CT spine; sagittal view; 187 mm across the image; 11 vertebrae labeled in this scan
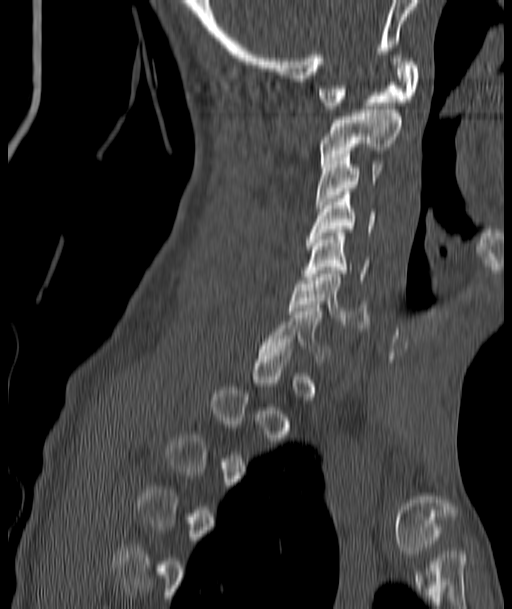
Each vertebra maps to its box as [x1, y1, x2, y2], the pixel coordinates of its top-left and bottom-right corners.
A vertebra gets a box only on the slices from the first to the last where its cross-section is at least a third of its largest; on a slice outside that range it gets none.
{"vertebrae":{"C1":[318,55,419,109],"C2":[321,110,402,163],"C3":[316,151,383,208],"C4":[307,192,375,239],"C5":[305,229,369,283],"C6":[288,270,370,328]}}